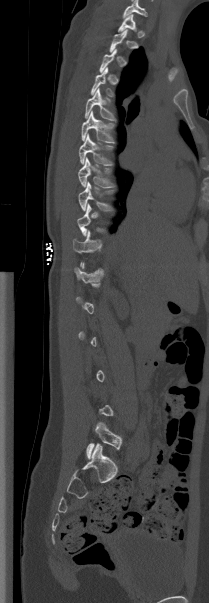

Spine computed tomography; sagittal reformat; W/L 1800/400 HU
Boxes: x1 y1 x2 y2 (pixel coords, space-separated). Not every vertebra on this slice has a box: a vertebra is boxed only from the first to the last slice where its cross-section is at least a third of its largest, and this slice is outside that range for at least one of them. 8 vertebrae labeled — T4 at 90 67 113 96; T5 at 85 89 114 119; T6 at 81 111 114 142; T7 at 79 134 112 164; T8 at 78 158 113 187; T9 at 78 182 112 211; T11 at 73 230 101 264; L5 at 86 422 122 458.